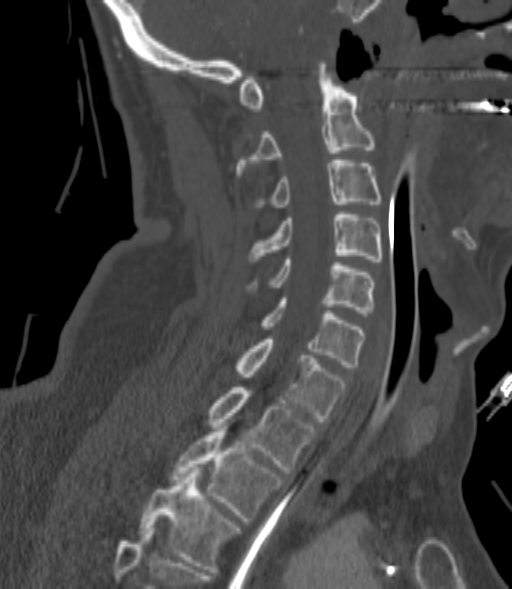

CT, spine. the image spans 200 mm across. sagittal view. W/L 1800/400 HU
Boxes: x1 y1 x2 y2 (pixel coords, space-separated).
A vertebra gets a box only on the slices from the first to the last where its cross-section is at least a third of its largest; on a slice outside that range it gets none.
Vertebra bounding boxes:
- C2: 236 64 374 178
- C3: 259 160 381 207
- C4: 249 211 381 261
- C5: 252 259 374 313
- C6: 262 298 363 367
- C7: 236 339 345 421
- T1: 208 387 315 473
- T2: 172 429 281 521
- T3: 139 470 238 569